Computed tomography of the spine — sagittal reformat — 512x694 px — 12 vertebrae labeled in this scan
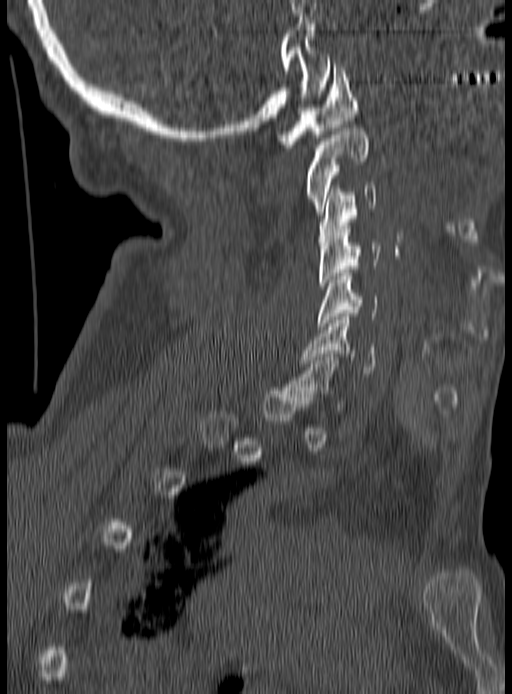

Bounding boxes as [x1, y1, x2, y2] in pixel coordinates.
A vertebra is boxed only from the first to the last slice where its cross-section is at least a third of its largest; slices outside that range leave it without a box.
C1: [278, 64, 358, 147]
C2: [305, 128, 369, 215]
C3: [318, 185, 377, 245]
C4: [319, 226, 380, 289]
C5: [319, 273, 378, 326]
C6: [303, 317, 375, 376]